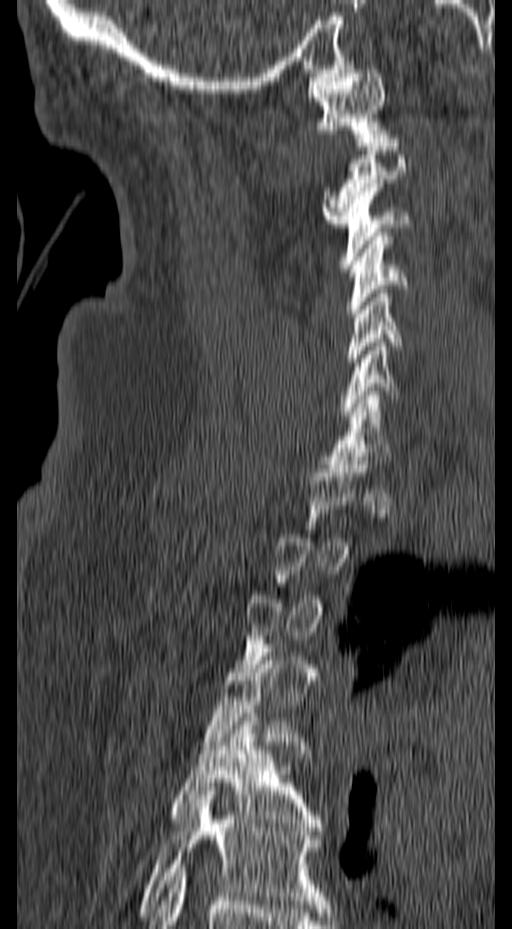 Computed tomography of the spine. sagittal view. W/L 1800/400 HU. 512x929 px. 157 mm across the image
Each vertebra is boxed only on the slices from the first to the last where its cross-section reaches a third of its largest, so a slice outside that range leaves it unboxed.
<vertebrae><v name="C1" x1="308" y1="69" x2="389" y2="142"/><v name="C2" x1="322" y1="143" x2="405" y2="223"/><v name="C3" x1="339" y1="183" x2="409" y2="268"/><v name="C4" x1="345" y1="232" x2="406" y2="317"/><v name="C5" x1="346" y1="285" x2="402" y2="370"/><v name="C6" x1="339" y1="338" x2="398" y2="415"/><v name="C7" x1="327" y1="391" x2="392" y2="464"/><v name="T5" x1="169" y1="713" x2="323" y2="831"/><v name="T6" x1="141" y1="787" x2="330" y2="912"/></vertebrae>